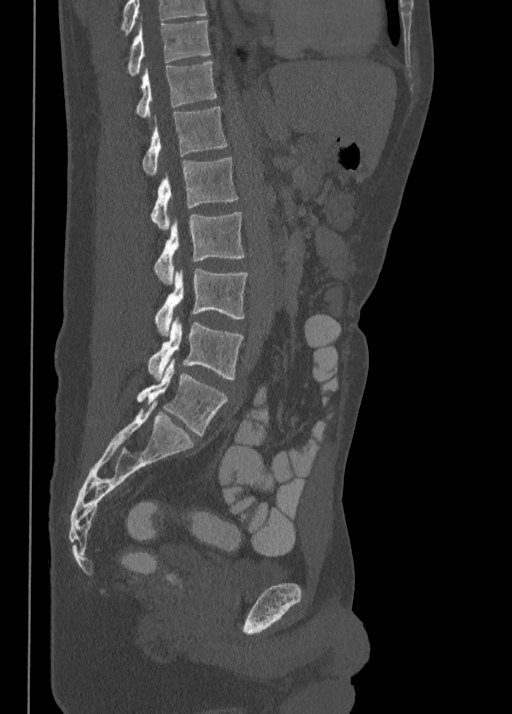

Spine computed tomography. sagittal reformat. the image is 350 mm wide. 512x714 px
Boxes: x1 y1 x2 y2 (pixel coords, space-separated). The highest labeled vertebra in this scan is T10; the lowest is L5. The labeled vertebrae in this slice are: L5 at 137 361 227 436, L4 at 148 319 243 379, L3 at 155 269 247 336, L2 at 153 212 245 285, L1 at 150 157 237 229, T12 at 141 107 227 175, T11 at 134 61 217 117, T10 at 127 20 211 75.